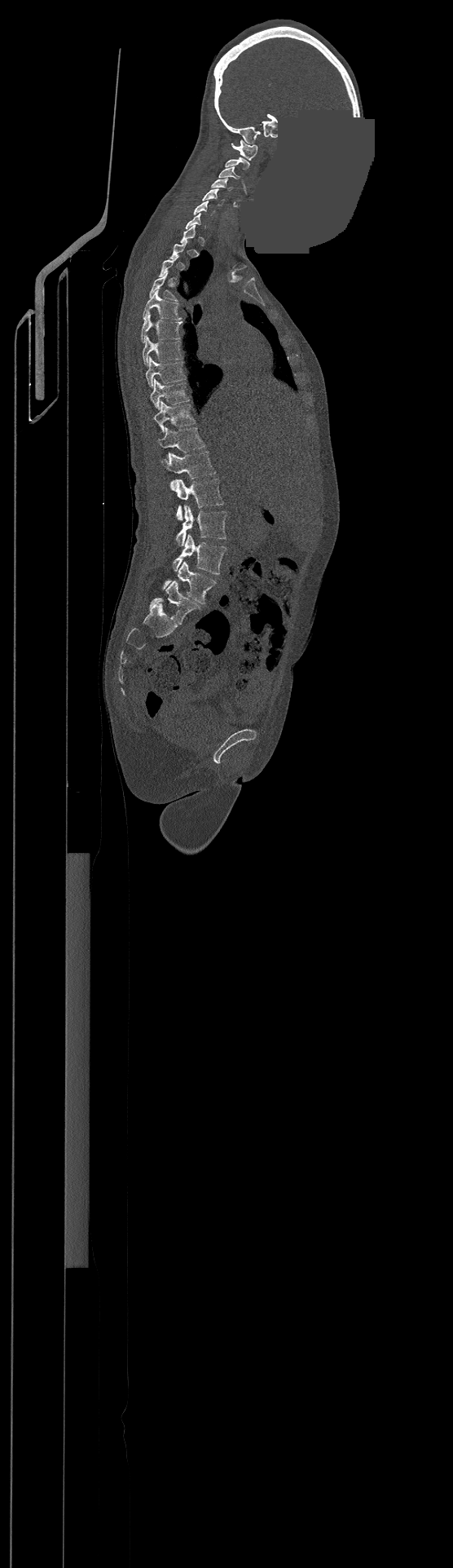

Spine CT. sagittal reformat. Bone window (WL 400, WW 1800). a region is masked with a constant gray value
Box edges are left/top/right/bottom in pixels.
Not every vertebra on this slice has a box: a vertebra is boxed only from the first to the last slice where its cross-section is at least a third of its largest, and this slice is outside that range for at least one of them.
In this scan, the topmost labeled vertebra is C1 and the lowest is L4.
C1: left=231, top=140, right=257, bottom=160
C2: left=226, top=157, right=249, bottom=170
C3: left=219, top=166, right=240, bottom=179
C4: left=211, top=179, right=231, bottom=190
C5: left=202, top=188, right=223, bottom=205
C6: left=194, top=201, right=214, bottom=215
T4: left=149, top=272, right=176, bottom=298
T5: left=143, top=290, right=182, bottom=320
T6: left=142, top=313, right=183, bottom=342
T7: left=143, top=336, right=183, bottom=365
T8: left=146, top=356, right=185, bottom=386
T9: left=149, top=378, right=189, bottom=409
T10: left=153, top=401, right=195, bottom=431
T11: left=158, top=427, right=204, bottom=452
T12: left=161, top=451, right=215, bottom=478
L1: left=172, top=479, right=223, bottom=520
L2: left=176, top=506, right=226, bottom=545
L3: left=174, top=534, right=226, bottom=574
L4: left=163, top=562, right=216, bottom=603